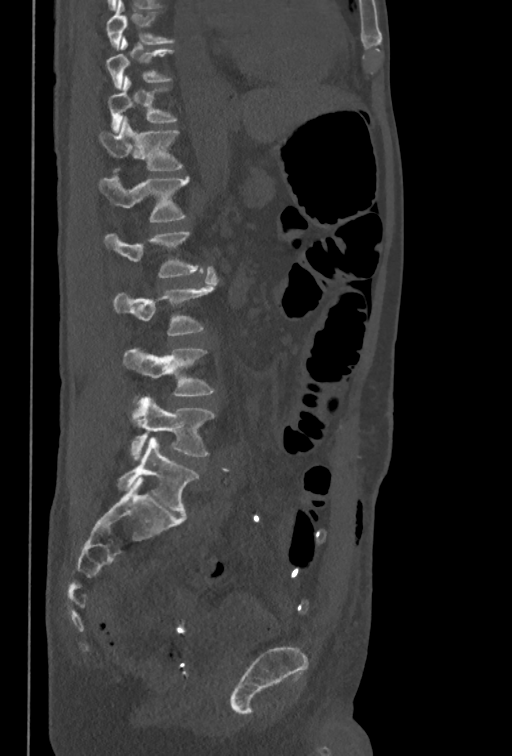
CT, spine; sagittal reformat; the image is 350 mm wide
Bounding boxes as [x1, y1, x2, y2] in pixel coordinates.
The highest labeled vertebra in this scan is T10; the lowest is L5.
Vertebra bounding boxes:
- T10: [107, 37, 173, 90]
- T11: [108, 76, 177, 133]
- T12: [98, 117, 183, 170]
- L1: [99, 175, 189, 222]
- L2: [105, 232, 204, 278]
- L3: [112, 266, 218, 335]
- L4: [123, 348, 214, 397]
- L5: [130, 396, 214, 460]